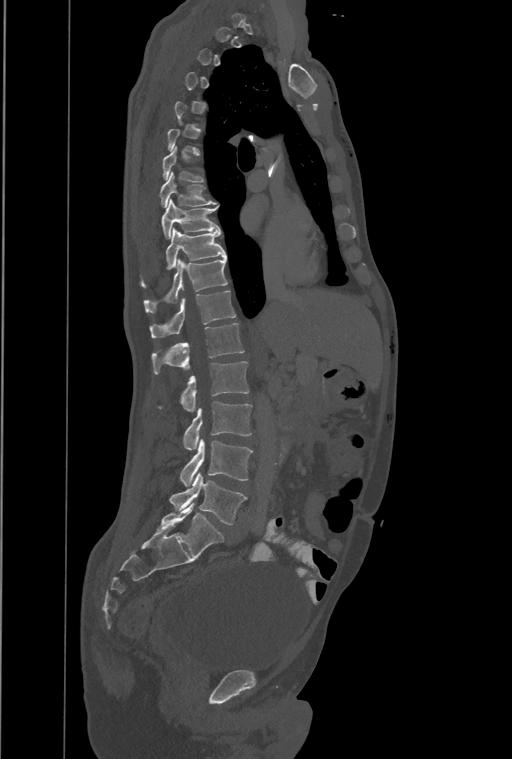

CT — sagittal view — bone-window reconstruction — 512x759 px

Coordinates as <box>x1,y1,x2,y2</box>.
Not every vertebra on this slice has a box: a vertebra is boxed only from the first to the last slice where its cross-section is at least a third of its largest, and this slice is outside that range for at least one of them.
Labels in this scan begin with T1 at the top and end with L4 at the bottom.
These labels give the spine a thirteenth thoracic vertebra: T13 sits between T12 and L1.
T8: <box>160,171,217,207</box>
T9: <box>162,199,219,238</box>
T10: <box>141,228,225,287</box>
T11: <box>144,258,227,313</box>
T12: <box>150,290,235,337</box>
T13: <box>152,322,244,374</box>
L1: <box>158,361,248,411</box>
L2: <box>183,401,252,449</box>
L3: <box>181,439,252,486</box>
L4: <box>170,472,246,525</box>